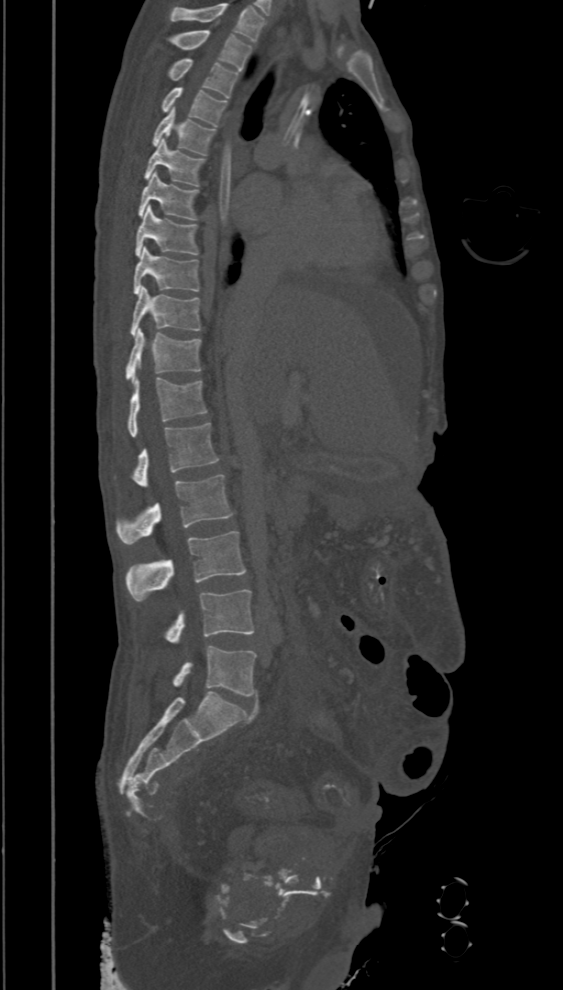
CT, spine; sagittal view; Bone window (WL 400, WW 1800); 394 mm image width; 563x990 px
Boxes: x1:y1:x2:y2 in pixels. The highest labeled vertebra in this scan is T2; the lowest is L5. 16 vertebrae labeled — T2 at 169:30:252:71; T3 at 168:58:239:98; T4 at 162:87:225:126; T5 at 153:107:214:155; T6 at 144:137:205:186; T7 at 139:172:199:219; T8 at 135:205:197:256; T9 at 133:246:199:294; T10 at 130:286:200:336; T11 at 125:329:201:382; T12 at 128:377:206:436; L1 at 133:423:219:486; L2 at 115:475:233:544; L3 at 125:532:246:601; L4 at 166:589:254:642; L5 at 173:646:256:696.